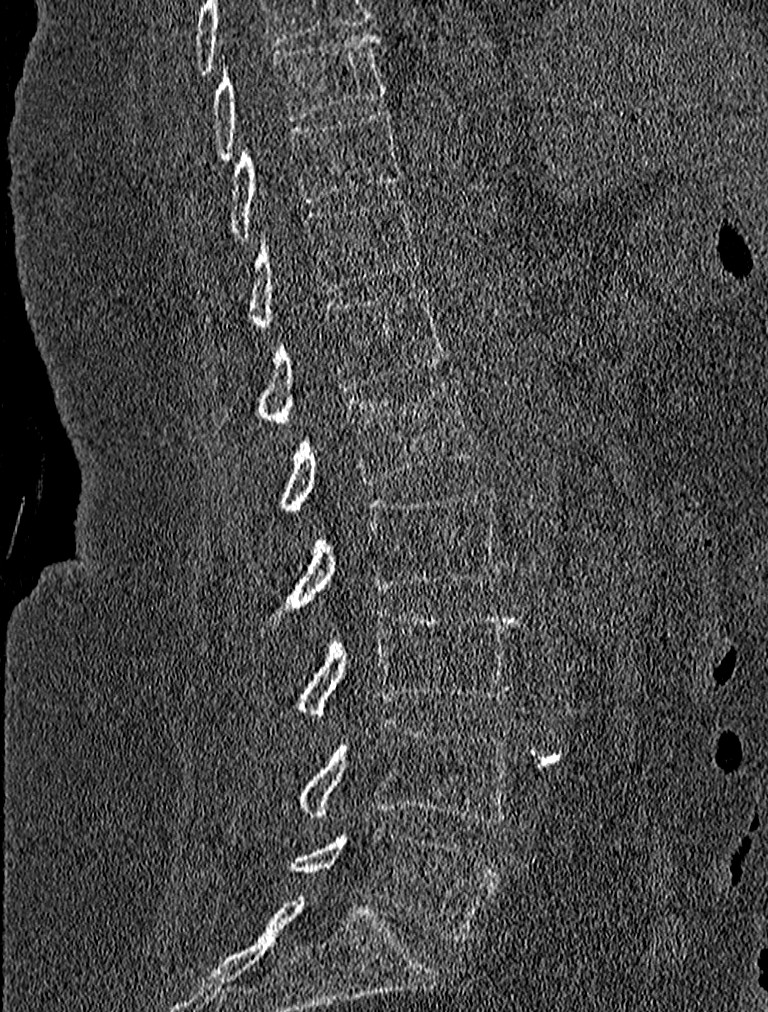
CT spine — sagittal reformat — image width 227 mm — 768x1012 px

Boxes: x1 y1 x2 y2 (pixel coords, space-separated).
Vertebra bounding boxes:
- L5: 286 827 499 941
- L4: 283 719 514 823
- L3: 286 607 519 718
- L2: 256 487 502 634
- L1: 276 379 478 512
- T12: 215 288 448 425
- T11: 202 196 421 331
- T10: 188 108 400 250
- T9: 209 33 387 162